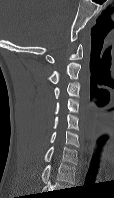

CT, spine. the image is 114 mm wide. sagittal view. W/L 1800/400 HU
Box values are [left, top, right, bottom] in pixels.
Labels in this scan begin with C1 at the top and end with C7 at the bottom.
{"vertebrae":{"C7":[44,146,77,164],"C6":[49,130,79,147],"C5":[53,114,79,130],"C4":[54,98,79,114],"C3":[54,82,79,99],"C2":[48,62,80,84],"C1":[45,44,82,63]}}